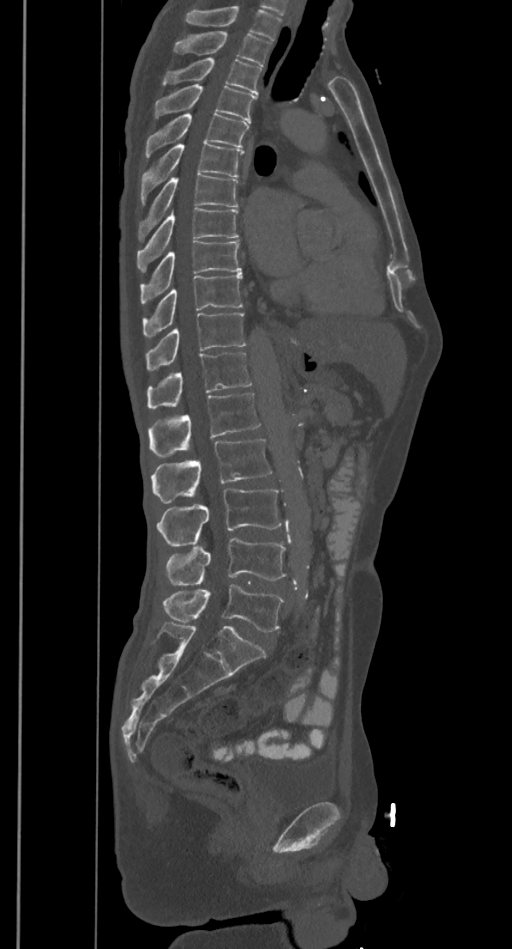
CT spine; sagittal reformat
Each box is [x1, y1, x2, y2] in pixels: top-left corner, then bottom-right corner.
Where the top of the scan cuts through a vertebra, that vertebra gets no label or box.
{"vertebrae":{"L5":[162,585,285,632],"L4":[166,539,286,585],"L3":[157,490,282,546],"L2":[151,438,271,503],"L1":[147,394,261,457],"T12":[147,352,252,408],"T11":[146,312,246,371],"T10":[142,274,242,338],"T9":[141,241,241,303],"T8":[137,208,238,271],"T7":[138,174,238,240],"T6":[141,142,244,204],"T5":[145,114,247,158],"T4":[154,85,255,122],"T3":[162,59,261,95],"T2":[174,31,271,66]}}